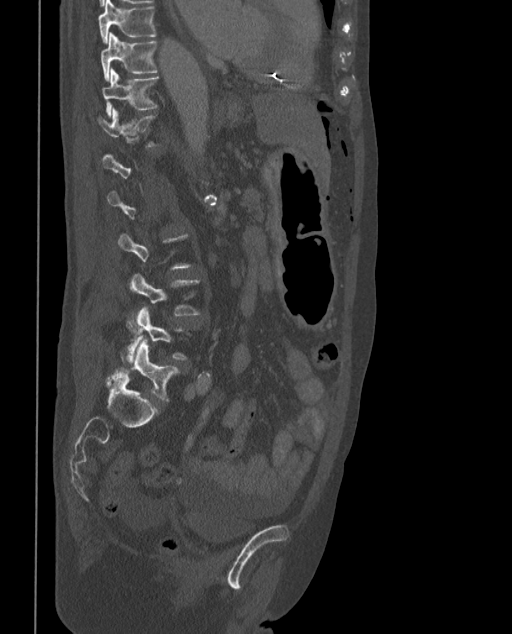

Spine CT · the image is 373 mm wide · sagittal view
Columns x1, y1, x2, y2 give each box's top-left and bottom-right pixels.
A vertebra is boxed only from the first to the last slice where its cross-section is at least a third of its largest; slices outside that range leave it without a box.
These labels give the spine a sixth lumbar vertebra, L6, below L5.
| vertebra | x1 | y1 | x2 | y2 |
|---|---|---|---|---|
| T9 | 99 | 0 | 155 | 42 |
| T10 | 101 | 32 | 157 | 81 |
| T11 | 101 | 68 | 158 | 116 |
| T12 | 97 | 109 | 159 | 147 |
| L4 | 130 | 274 | 201 | 315 |
| L5 | 123 | 308 | 187 | 361 |
| L6 | 107 | 340 | 180 | 401 |